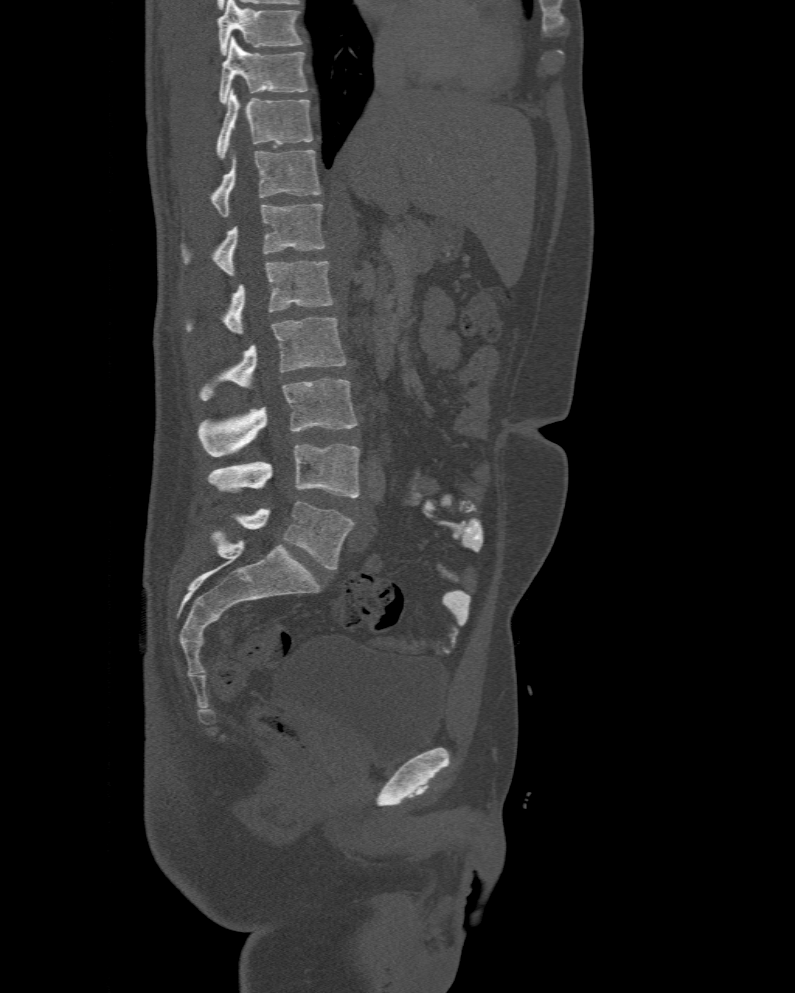
CT — sagittal view — 795x993 px

The highest labeled vertebra in this scan is T10; the lowest is L6.
The labels name a sixth lumbar vertebra for this spine: L6, after L5.
<vertebrae><v name="T10" x1="219" y1="37" x2="308" y2="104"/><v name="T11" x1="214" y1="90" x2="313" y2="159"/><v name="T12" x1="210" y1="150" x2="320" y2="216"/><v name="L1" x1="182" y1="203" x2="325" y2="276"/><v name="L2" x1="185" y1="262" x2="334" y2="334"/><v name="L3" x1="200" y1="317" x2="345" y2="400"/><v name="L4" x1="199" y1="378" x2="358" y2="457"/><v name="L5" x1="208" y1="443" x2="359" y2="497"/><v name="L6" x1="236" y1="500" x2="355" y2="569"/></vertebrae>